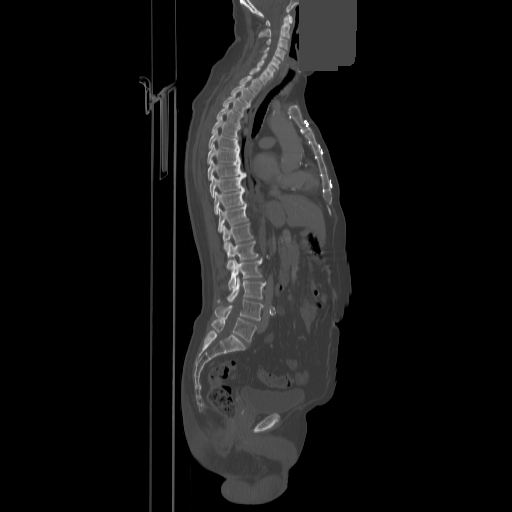

Spine CT — sagittal reformat — the image is 858 mm wide — 512x512 px — a region of this slice is masked with a uniform fill
<vertebrae><v name="C1" x1="266" y1="14" x2="292" y2="26"/><v name="C2" x1="258" y1="17" x2="289" y2="37"/><v name="C3" x1="266" y1="37" x2="287" y2="49"/><v name="C4" x1="264" y1="47" x2="285" y2="60"/><v name="C5" x1="262" y1="53" x2="279" y2="69"/><v name="C6" x1="257" y1="61" x2="274" y2="76"/><v name="C7" x1="250" y1="68" x2="270" y2="84"/><v name="T1" x1="240" y1="75" x2="261" y2="93"/><v name="T2" x1="231" y1="83" x2="253" y2="103"/><v name="T3" x1="223" y1="94" x2="244" y2="114"/><v name="T4" x1="217" y1="104" x2="240" y2="123"/><v name="T5" x1="211" y1="117" x2="239" y2="137"/><v name="T6" x1="208" y1="130" x2="237" y2="149"/><v name="T7" x1="207" y1="144" x2="239" y2="163"/><v name="T8" x1="208" y1="160" x2="245" y2="179"/><v name="T9" x1="210" y1="175" x2="244" y2="197"/><v name="T10" x1="214" y1="189" x2="245" y2="214"/><v name="T11" x1="218" y1="204" x2="247" y2="232"/><v name="T12" x1="222" y1="223" x2="252" y2="249"/><v name="L1" x1="226" y1="241" x2="257" y2="269"/><v name="L2" x1="228" y1="258" x2="261" y2="290"/><v name="L3" x1="218" y1="277" x2="265" y2="302"/><v name="L4" x1="215" y1="300" x2="263" y2="320"/><v name="L5" x1="211" y1="318" x2="256" y2="342"/></vertebrae>